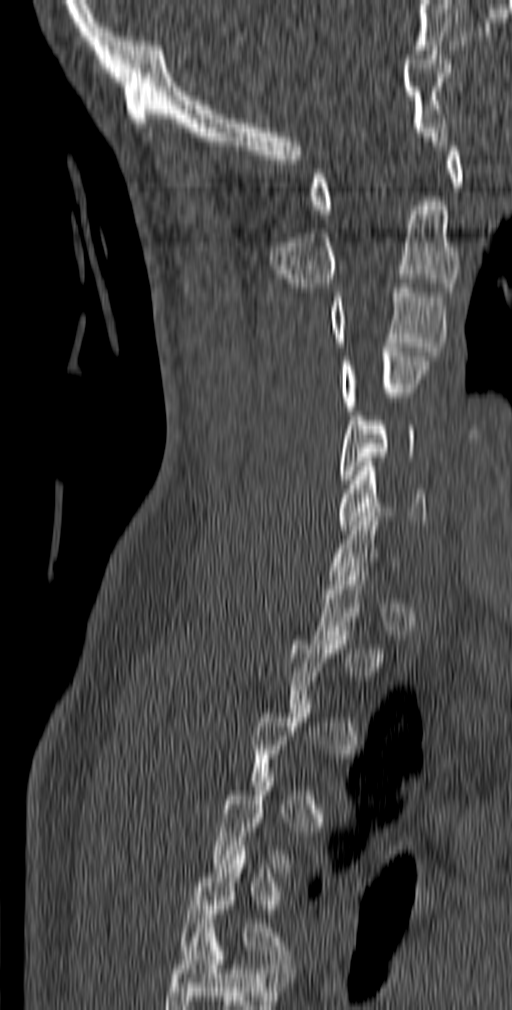 Spine CT; image width 140 mm; sagittal view
Bounding boxes as [x1, y1, x2, y2] in pixel coordinates.
Each vertebra is boxed only on the slices from the first to the last where its cross-section reaches a third of its largest, so a slice outside that range leaves it unboxed.
Labels in this scan begin with C1 at the top and end with T5 at the bottom.
Vertebra bounding boxes:
- C1: [309, 142, 465, 214]
- C2: [270, 201, 459, 292]
- C3: [329, 283, 447, 356]
- C4: [341, 347, 428, 415]
- C5: [338, 411, 417, 484]
- C6: [338, 462, 426, 529]
- T5: [180, 850, 292, 964]